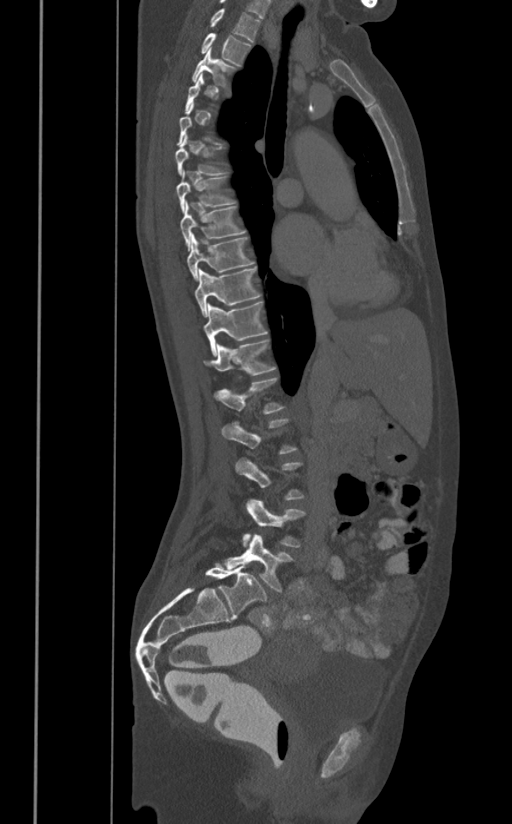

CT — sagittal reformat — W/L 1800/400 HU — 512x824 px
Boxes: x1:y1:x2:y2 in pixels.
A vertebra is boxed only from the first to the last slice where its cross-section is at least a third of its largest; slices outside that range leave it without a box.
T1: 209:7:260:41
T2: 201:33:250:65
T3: 192:47:236:86
T6: 174:134:229:175
T7: 175:171:236:211
T8: 180:202:245:251
T9: 187:233:254:281
T10: 194:268:259:316
T11: 203:302:267:356
T12: 204:339:275:375
L1: 213:377:283:413
L2: 221:420:296:454
L4: 242:499:305:547
L5: 223:534:292:591